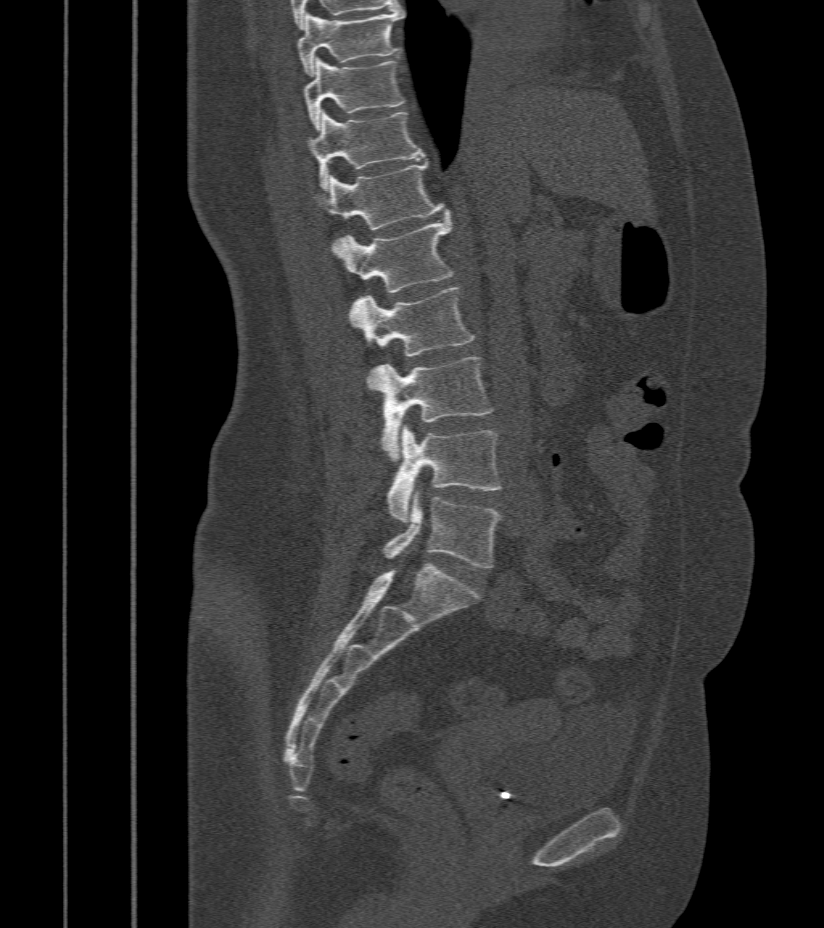
CT, spine. sagittal view. W/L 1800/400 HU. 824x928 px
Each vertebra maps to its box as [x1, y1, x2, y2], the pixel coordinates of its top-left and bottom-right corners.
{"vertebrae":{"L5":[383,489,501,568],"L4":[388,425,501,522],"L3":[370,357,493,460],"L2":[349,287,475,389],"L1":[332,215,453,292],"T12":[314,163,446,230],"T11":[307,111,425,188],"T10":[303,57,405,130],"T9":[298,9,403,76]}}